Spine computed tomography; sagittal plane, index 287; W/L 1800/400 HU
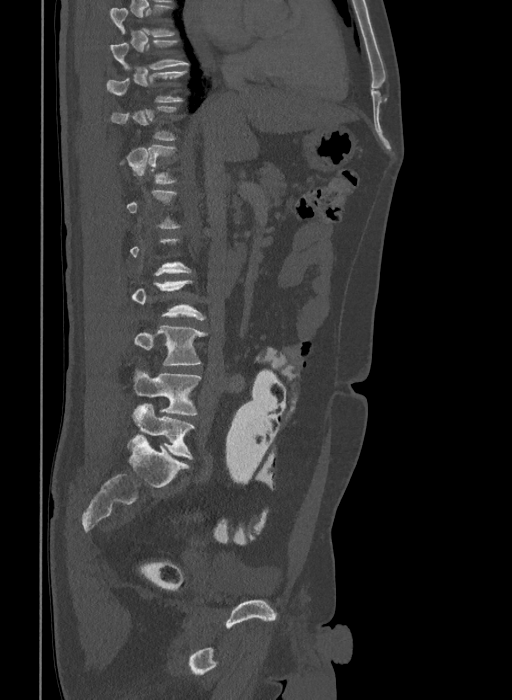 Not every vertebra on this slice has a box: a vertebra is boxed only from the first to the last slice where its cross-section is at least a third of its largest, and this slice is outside that range for at least one of them.
The highest labeled vertebra in this scan is T9; the lowest is L6.
These labels give the spine a sixth lumbar vertebra, L6, below L5.
<vertebrae><v name="L6" x1="132" y1="403" x2="194" y2="459"/><v name="L5" x1="133" y1="370" x2="200" y2="415"/><v name="L4" x1="134" y1="326" x2="207" y2="365"/><v name="T10" x1="106" y1="71" x2="187" y2="102"/><v name="T9" x1="110" y1="41" x2="188" y2="70"/></vertebrae>